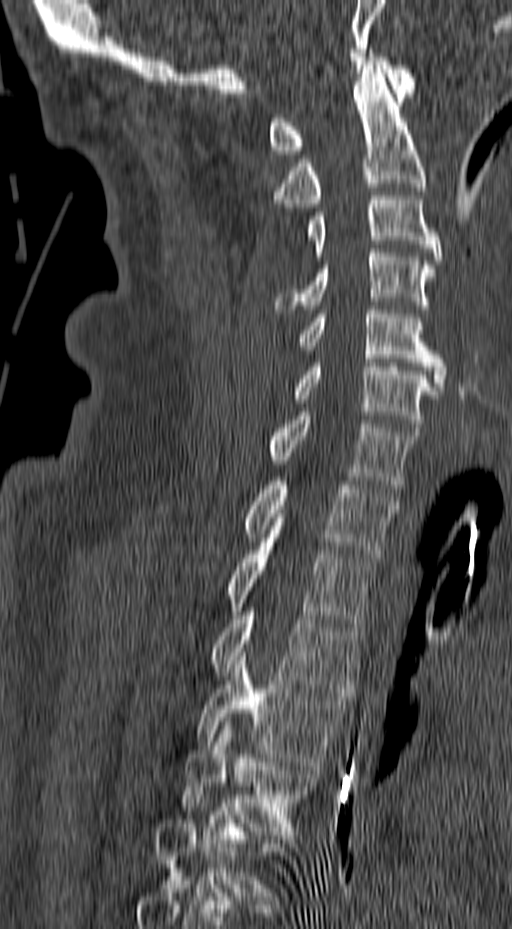
Spine CT — sagittal view — 512x929 px
Boxes: x1:y1:x2:y2 in pixels.
Not every vertebra on this slice has a box: a vertebra is boxed only from the first to the last slice where its cross-section is at least a third of its largest, and this slice is outside that range for at least one of them.
Vertebra bounding boxes:
- T5: 183:717:317:835
- T4: 196:652:349:769
- T3: 210:603:362:696
- T2: 226:542:375:627
- T1: 246:481:398:557
- C7: 269:412:421:488
- C6: 291:359:440:431
- C5: 298:306:446:390
- C4: 274:249:435:309
- C3: 308:196:441:260
- C2: 272:65:425:207
- C1: 269:53:416:154